CT spine · sagittal view
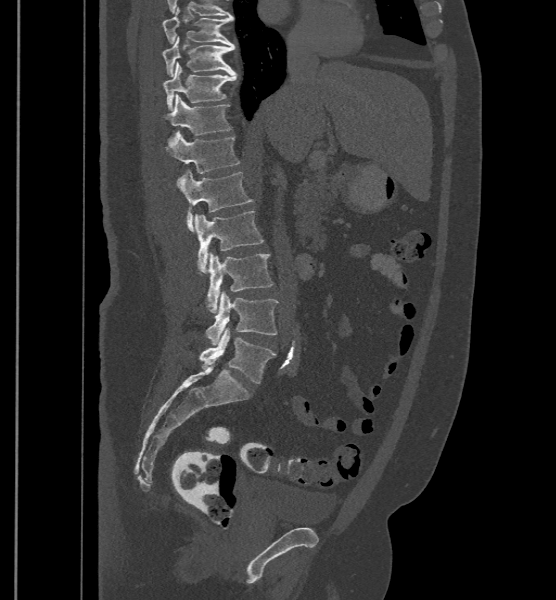

Boxes are (x1, y1, x2, y2) in pixels.
These labels give the spine a sixth lumbar vertebra, L6, below L5.
Vertebra bounding boxes:
- T9: (162, 7, 234, 47)
- T10: (162, 36, 234, 76)
- T11: (164, 62, 237, 110)
- T12: (163, 94, 231, 145)
- L1: (167, 133, 240, 185)
- L2: (181, 170, 253, 232)
- L3: (195, 211, 264, 275)
- L4: (205, 252, 274, 312)
- L5: (205, 291, 278, 345)
- L6: (199, 328, 276, 383)